Computed tomography of the spine; sagittal plane, index 85
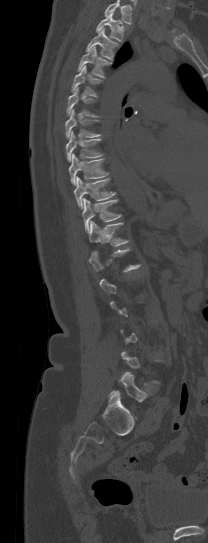
Each box given as x1,y1,x2,y2.
Each vertebra is boxed only on the slices from the first to the last where its cross-section reaches a third of its largest, so a slice outside that range leaves it unboxed.
A vertebra cut off by the top edge of the scan is not labeled and has no box.
| vertebra | x1 | y1 | x2 | y2 |
|---|---|---|---|---|
| T1 | 96 | 12 | 124 | 41 |
| T2 | 85 | 28 | 116 | 60 |
| T3 | 77 | 46 | 107 | 78 |
| T4 | 71 | 65 | 100 | 95 |
| T5 | 67 | 88 | 99 | 117 |
| T6 | 65 | 109 | 100 | 139 |
| T7 | 66 | 131 | 101 | 161 |
| T8 | 69 | 153 | 107 | 185 |
| T9 | 74 | 177 | 115 | 209 |
| T10 | 82 | 198 | 120 | 232 |
| T11 | 89 | 221 | 128 | 246 |
| L5 | 109 | 372 | 147 | 401 |